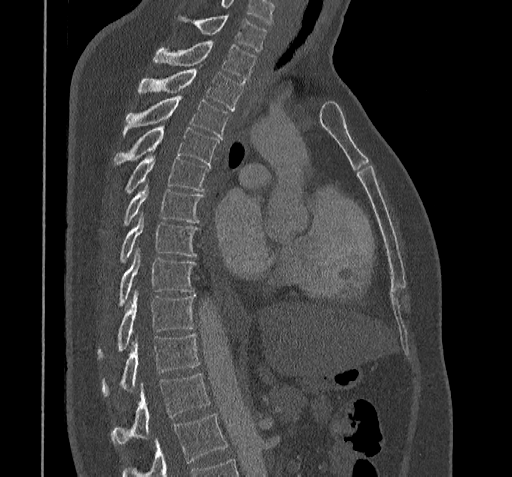
CT, spine · sagittal view · Bone window (WL 400, WW 1800)
Vertebrae that run past the bottom of the scan are left unlabeled.
This scan's labels start at C7 at the top and end at T11 at the bottom.
<vertebrae><v name="T11" x1="111" y1="374" x2="209" y2="445"/><v name="T10" x1="101" y1="333" x2="199" y2="395"/><v name="T9" x1="98" y1="289" x2="194" y2="358"/><v name="T8" x1="119" y1="248" x2="194" y2="305"/><v name="T7" x1="121" y1="215" x2="197" y2="262"/><v name="T6" x1="124" y1="185" x2="201" y2="224"/><v name="T5" x1="125" y1="156" x2="209" y2="192"/><v name="T4" x1="114" y1="125" x2="218" y2="165"/><v name="T3" x1="124" y1="94" x2="228" y2="138"/><v name="T2" x1="138" y1="67" x2="244" y2="109"/><v name="T1" x1="154" y1="42" x2="256" y2="81"/><v name="C7" x1="179" y1="16" x2="266" y2="51"/></vertebrae>